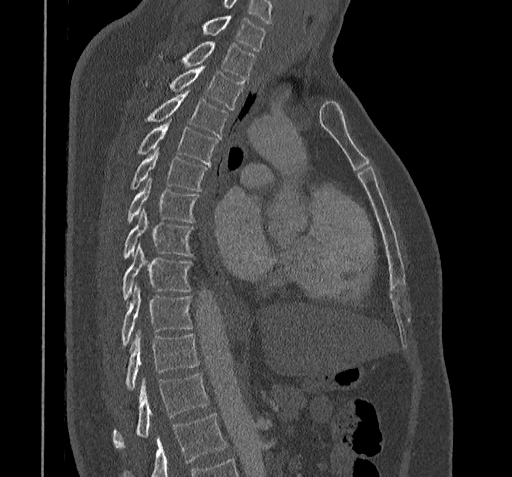

Computed tomography of the spine — sagittal reformat — Bone window (WL 400, WW 1800) — 512x477 px

Where the bottom of the scan cuts through a vertebra, that vertebra gets no label or box.
In this scan, the topmost labeled vertebra is C7 and the lowest is T11.
<vertebrae><v name="T11" x1="113" y1="374" x2="209" y2="447"/><v name="T10" x1="125" y1="331" x2="199" y2="390"/><v name="T9" x1="122" y1="286" x2="191" y2="345"/><v name="T8" x1="122" y1="245" x2="191" y2="301"/><v name="T7" x1="124" y1="209" x2="193" y2="258"/><v name="T6" x1="127" y1="177" x2="197" y2="222"/><v name="T5" x1="132" y1="147" x2="208" y2="191"/><v name="T4" x1="138" y1="119" x2="217" y2="165"/><v name="T3" x1="148" y1="92" x2="228" y2="136"/><v name="T2" x1="170" y1="66" x2="242" y2="109"/><v name="T1" x1="183" y1="42" x2="255" y2="81"/><v name="C7" x1="203" y1="16" x2="264" y2="51"/></vertebrae>